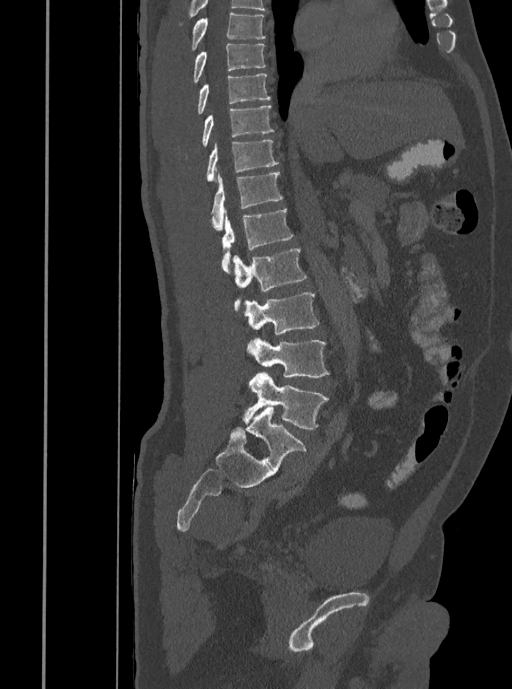 Spine CT · sagittal reformat
In the table, x1 and y1 are a box's top-left corner and x2 and y2 its bottom-right corner, in pixels.
| vertebra | x1 | y1 | x2 | y2 |
|---|---|---|---|---|
| T7 | 191 | 12 | 265 | 50 |
| T8 | 193 | 44 | 265 | 84 |
| T9 | 197 | 73 | 270 | 114 |
| T10 | 202 | 105 | 274 | 146 |
| T11 | 207 | 139 | 279 | 181 |
| T12 | 210 | 172 | 282 | 231 |
| L1 | 221 | 209 | 293 | 272 |
| L2 | 233 | 248 | 306 | 311 |
| L3 | 243 | 293 | 319 | 334 |
| L4 | 246 | 338 | 329 | 377 |
| L5 | 243 | 372 | 328 | 429 |